CT spine. sagittal view. bone-window reconstruction
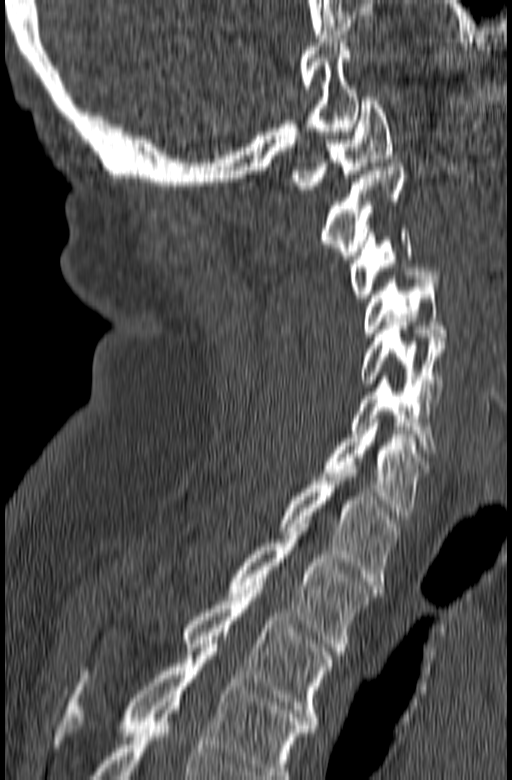
Boxes: x1 y1 x2 y2 (pixel coords, space-separated).
In this scan, the topmost labeled vertebra is C1 and the lowest is T3.
C1: 291 97 391 193
C2: 321 163 407 259
C3: 349 229 422 298
C4: 361 272 447 336
C5: 358 318 444 399
C6: 349 376 436 453
C7: 314 427 428 519
T1: 279 469 400 585
T2: 228 524 376 651
T3: 82 586 333 724